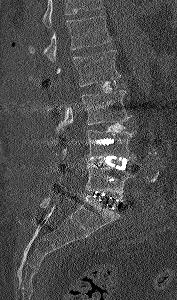 Computed tomography of the spine; sagittal reformat; image width 177 mm
Vertebrae that run past the top of the scan are left unlabeled.
<vertebrae><v name="L5" x1="59" y1="163" x2="134" y2="198"/><v name="L4" x1="87" y1="130" x2="135" y2="159"/><v name="L3" x1="56" y1="90" x2="131" y2="133"/><v name="L2" x1="48" y1="50" x2="120" y2="86"/><v name="L1" x1="28" y1="15" x2="112" y2="61"/></vertebrae>